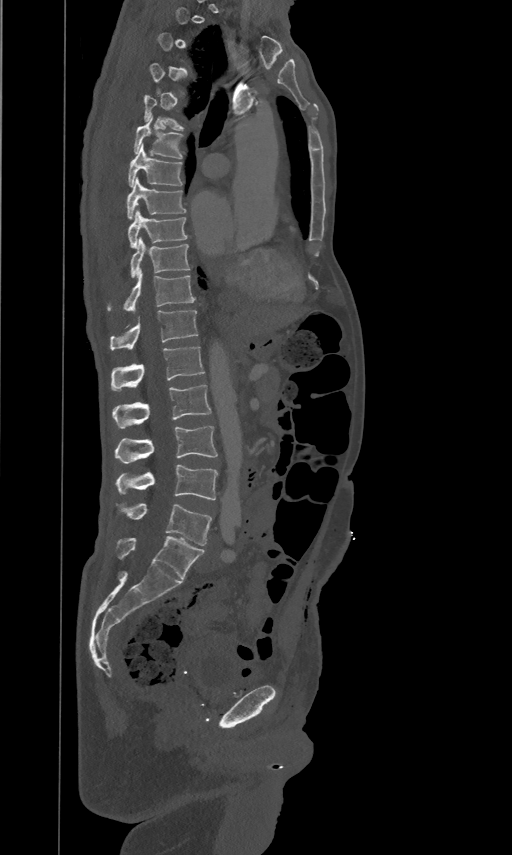
CT spine — sagittal view — image width 461 mm — Bone window (WL 400, WW 1800) — 512x855 px

Boxes: x1:y1:x2:y2 in pixels. A vertebra is boxed only from the first to the last slice where its cross-section is at least a third of its largest; slices outside that range leave it without a box. 13 vertebrae labeled — T5 at 144:94:183:130; T6 at 134:117:183:158; T7 at 128:143:182:185; T8 at 127:177:186:218; T9 at 128:209:187:246; T10 at 130:236:190:276; T11 at 107:270:195:310; T12 at 110:309:198:349; L1 at 111:345:204:389; L2 at 112:384:211:427; L3 at 115:425:217:463; L4 at 116:465:217:500; L5 at 121:503:211:545.